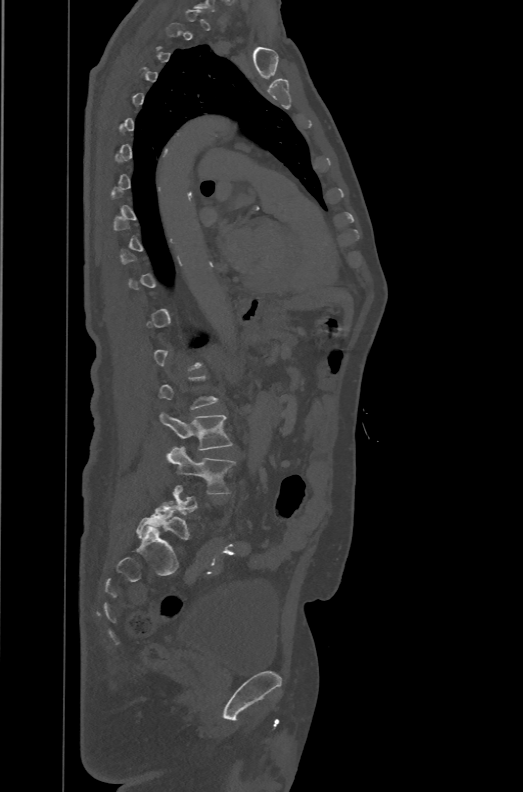

Spine computed tomography; sagittal reformat; Bone window (WL 400, WW 1800); 523x792 px; 471 mm across the image
Each vertebra maps to its box as [x1, y1, x2, y2], the pixel coordinates of its top-left and bottom-right corners.
A vertebra gets a box only on the slices from the first to the last where its cross-section is at least a third of its largest; on a slice outside that range it gets none.
These labels give the spine a sixth lumbar vertebra, L6, below L5.
{"vertebrae":{"L3":[158,412,232,450],"L4":[165,445,235,493],"L6":[136,501,189,539]}}